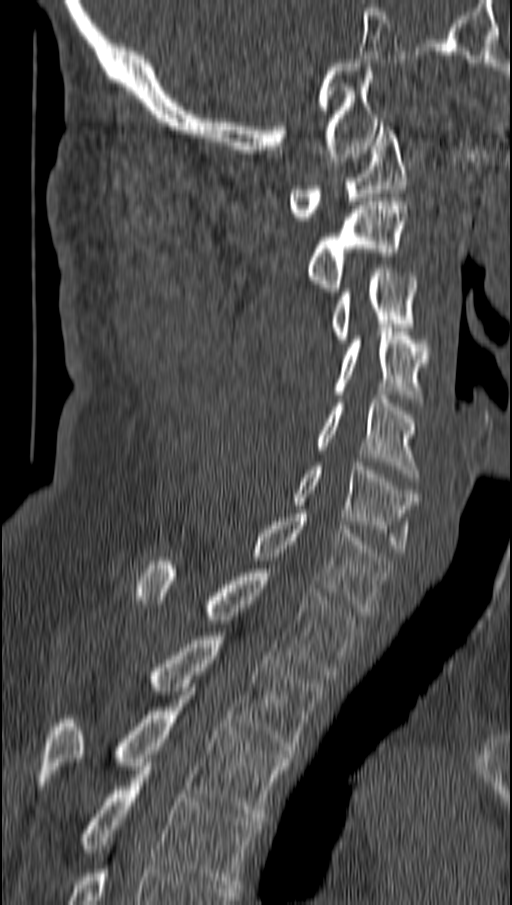

CT, spine — sagittal reformat — bone window — image width 162 mm
Each box given as x1,y1,x2,y2. The labeled vertebrae in this slice are: C1 at x1=289, y1=122, x2=405, y2=220, C2 at x1=308, y1=201, x2=405, y2=295, C3 at x1=330, y1=265, x2=417, y2=343, C4 at x1=333, y1=328, x2=429, y2=406, C5 at x1=314, y1=395, x2=420, y2=481, C6 at x1=292, y1=462, x2=417, y2=552, C7 at x1=251, y1=514, x2=389, y2=615, T1 at x1=138, y1=561, x2=357, y2=679, T2 at x1=146, y1=632, x2=322, y2=754, T3 at x1=39, y1=695, x2=291, y2=817, T4 at x1=77, y1=766, x2=259, y2=888.